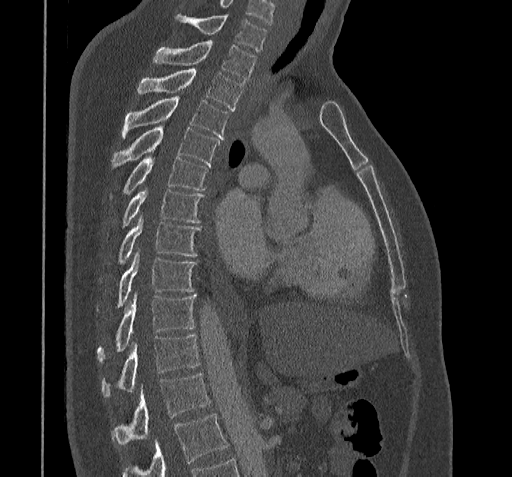 Computed tomography of the spine — sagittal view

Boxes below are [x1, y1, x2, y2] in pixels.
Where the bottom of the scan cuts through a vertebra, that vertebra gets no label or box.
{"vertebrae":{"T11":[113,374,210,445],"T10":[101,333,199,398],"T9":[97,293,196,361],"T8":[97,252,196,312],"T7":[117,218,201,264],"T6":[122,189,204,228],"T5":[109,157,209,198],"T4":[111,125,220,169],"T3":[122,96,228,138],"T2":[138,67,244,109],"T1":[154,42,256,79],"C7":[176,14,266,51]}}